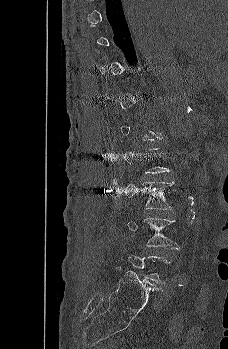
CT, spine · sagittal view · bone window
Each box is [x1, y1, x2, y2] in pixels: top-left corner, then bottom-right corner.
Not every vertebra on this slice has a box: a vertebra is boxed only from the first to the last slice where its cross-section is at least a third of its largest, and this slice is outside that range for at least one of them.
{"vertebrae":{"L3":[113,181,175,209],"L4":[127,217,179,248]}}